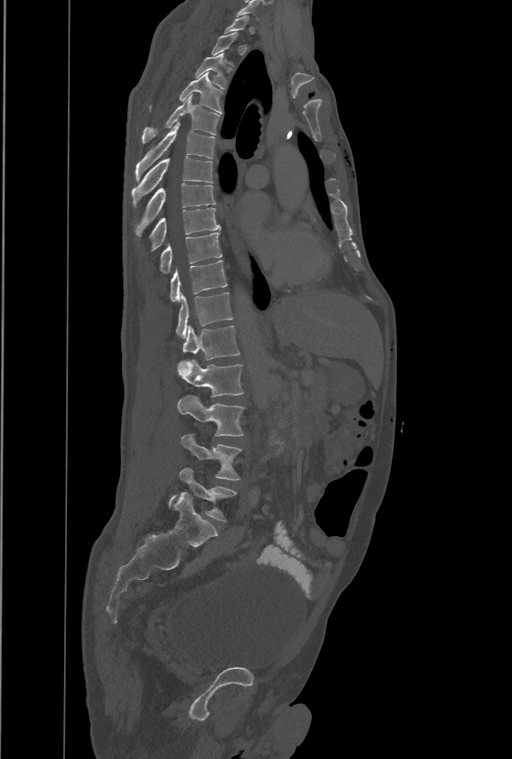 CT spine · sagittal view · bone window
A vertebra is boxed only from the first to the last slice where its cross-section is at least a third of its largest; slices outside that range leave it without a box.
The highest labeled vertebra in this scan is T1; the lowest is L4.
The labels name an extra thoracic vertebra here, T13, which comes after T12 and before L1.
<vertebrae><v name="L4" x1="170" y1="468" x2="235" y2="520"/><v name="L3" x1="181" y1="435" x2="241" y2="480"/><v name="L2" x1="177" y1="396" x2="243" y2="436"/><v name="L1" x1="177" y1="360" x2="243" y2="396"/><v name="T13" x1="183" y1="326" x2="239" y2="359"/><v name="T12" x1="176" y1="292" x2="232" y2="338"/><v name="T11" x1="171" y1="260" x2="226" y2="301"/><v name="T10" x1="161" y1="232" x2="222" y2="273"/><v name="T9" x1="151" y1="208" x2="219" y2="249"/><v name="T8" x1="136" y1="184" x2="215" y2="235"/><v name="T7" x1="132" y1="157" x2="213" y2="203"/><v name="T6" x1="135" y1="122" x2="215" y2="181"/><v name="T5" x1="142" y1="95" x2="219" y2="143"/><v name="T4" x1="150" y1="72" x2="223" y2="113"/><v name="T3" x1="195" y1="54" x2="226" y2="88"/></vertebrae>